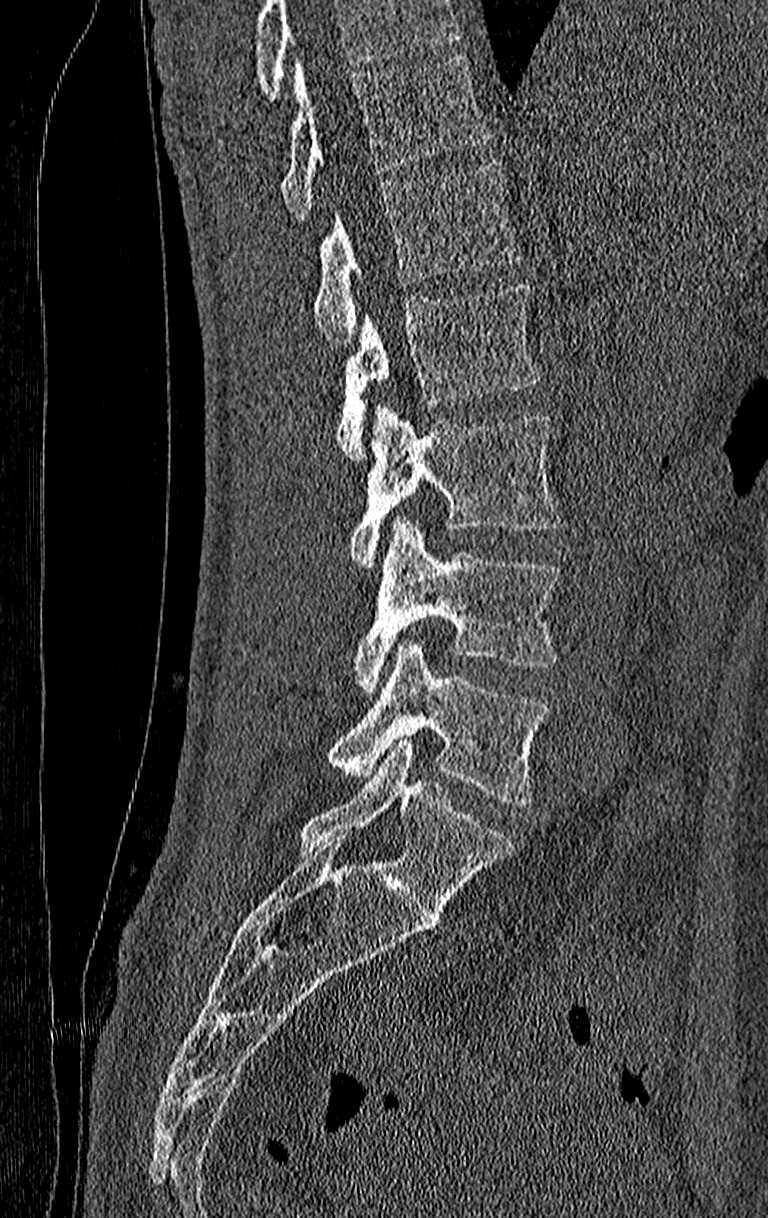 Spine computed tomography · sagittal view · the image is 210 mm wide · 768x1218 px
Each box given as x1,y1,x2,y2.
Where the top of the scan cuts through a vertebra, that vertebra gets no label or box.
Labels in this scan begin with T11 at the top and end with L4 at the bottom.
Vertebra bounding boxes:
- T11: x1=280, y1=56, x2=491, y2=220
- T12: x1=313, y1=161, x2=521, y2=343
- L1: x1=338, y1=283, x2=543, y2=461
- L2: x1=350, y1=406, x2=561, y2=570
- L3: x1=353, y1=517, x2=561, y2=695
- L4: x1=328, y1=640, x2=550, y2=804